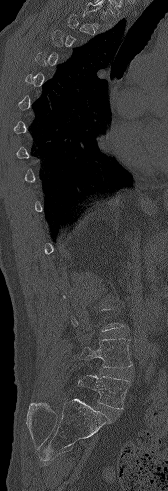

CT, spine — sagittal view — W/L 1800/400 HU
A vertebra is boxed only from the first to the last slice where its cross-section is at least a third of its largest; slices outside that range leave it without a box.
<vertebrae><v name="L4" x1="80" y1="338" x2="132" y2="367"/><v name="L5" x1="77" y1="375" x2="130" y2="409"/></vertebrae>